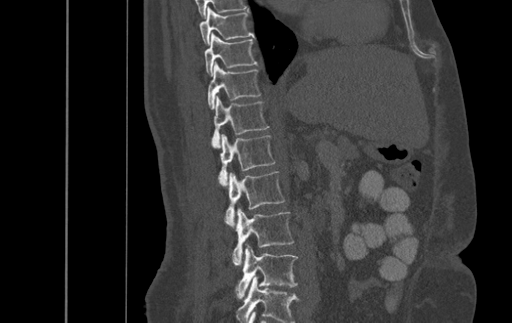 Spine CT · sagittal reformat · bone window. Boxes: x1:y1:x2:y2 in pixels.
Labels in this scan begin with T9 at the top and end with L4 at the bottom.
Vertebra bounding boxes:
- T9: 199:7:253:44
- T10: 204:33:256:76
- T11: 208:61:260:109
- T12: 211:96:268:147
- L1: 219:133:274:185
- L2: 224:171:285:225
- L3: 233:208:294:264
- L4: 236:244:297:298